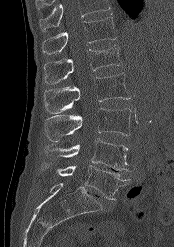
Spine computed tomography. 174 mm image width. sagittal view. 174x247 px
Where the top of the scan cuts through a vertebra, that vertebra gets no label or box.
<vertebrae><v name="L5" x1="40" y1="163" x2="130" y2="200"/><v name="L4" x1="43" y1="138" x2="129" y2="171"/><v name="L3" x1="44" y1="108" x2="131" y2="141"/><v name="L2" x1="43" y1="73" x2="130" y2="113"/><v name="L1" x1="43" y1="45" x2="121" y2="84"/><v name="T12" x1="41" y1="17" x2="116" y2="54"/></vertebrae>